Spine computed tomography — sagittal view — 140 mm wide — bone window — scan covers 10 annotated vertebrae
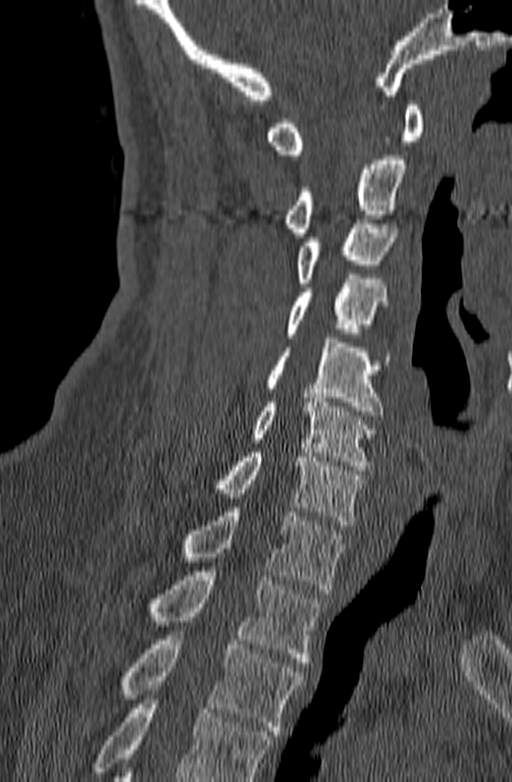
Each row gives a vertebra's box as x1, y1, x2, y2 in pixels: top-left corner, then bottom-right corner.
Where the bottom of the scan cuts through a vertebra, that vertebra gets no label or box.
| vertebra | x1 | y1 | x2 | y2 |
|---|---|---|---|---|
| C1 | 265 | 101 | 423 | 154 |
| C2 | 283 | 155 | 406 | 237 |
| C3 | 298 | 219 | 397 | 287 |
| C4 | 287 | 274 | 387 | 337 |
| C5 | 265 | 338 | 389 | 415 |
| C6 | 250 | 393 | 375 | 470 |
| C7 | 213 | 448 | 362 | 525 |
| T1 | 181 | 507 | 347 | 593 |
| T2 | 148 | 571 | 319 | 662 |
| T3 | 122 | 631 | 305 | 735 |